CT, spine · sagittal reformat
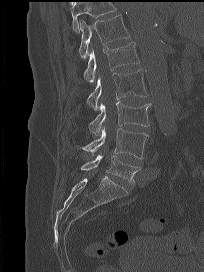

Box edges are left/top/right/bottom in pixels.
Vertebrae that run past the top of the scan are left unlabeled.
T12: left=78, top=14, right=130, bottom=58
L1: left=84, top=42, right=139, bottom=82
L2: left=87, top=69, right=147, bottom=110
L3: left=88, top=101, right=151, bottom=135
L4: left=82, top=126, right=148, bottom=159
L5: left=81, top=154, right=139, bottom=185